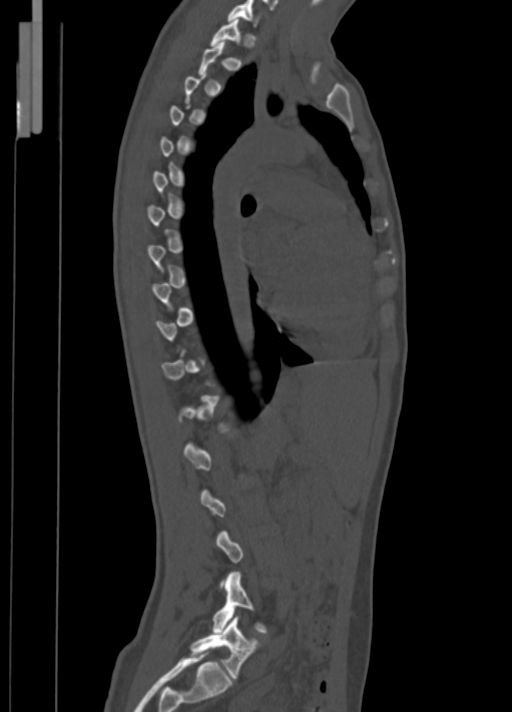
CT spine; sagittal view; Bone window (WL 400, WW 1800). Boxes are (x1, y1, x2, y2) in pixels.
Each vertebra is boxed only on the slices from the first to the last where its cross-section reaches a third of its largest, so a slice outside that range leaves it unboxed.
Vertebra bounding boxes:
- C7: (227, 0, 258, 25)
- T1: (210, 19, 239, 46)
- L4: (213, 572, 266, 632)
- L5: (190, 616, 258, 678)